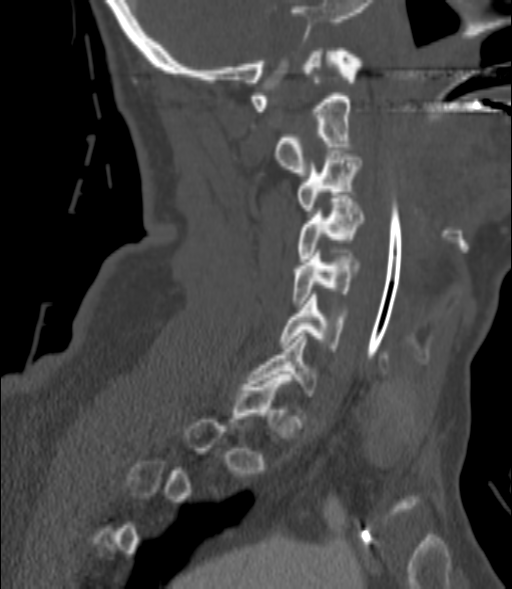 CT, spine. sagittal view. Bone window (WL 400, WW 1800)
Box edges are left/top/right/bottom in pixels.
Not every vertebra on this slice has a box: a vertebra is boxed only from the first to the last slice where its cross-section is at least a third of its largest, and this slice is outside that range for at least one of them.
Vertebra bounding boxes:
- C2: left=275, top=96, right=351, bottom=175
- C3: left=298, top=150, right=362, bottom=210
- C4: left=298, top=198, right=363, bottom=261
- C5: left=293, top=253, right=359, bottom=306
- C6: left=280, top=294, right=345, bottom=351
- C7: left=249, top=333, right=317, bottom=396